Computed tomography of the spine. sagittal reformat. Bone window (WL 400, WW 1800)
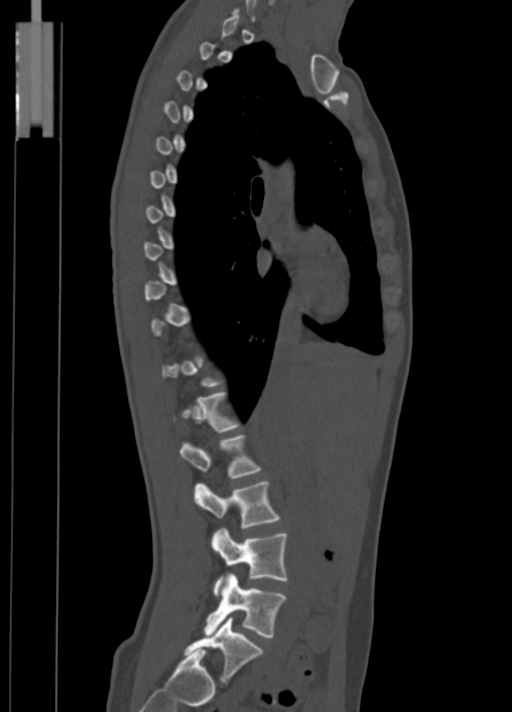

A vertebra is boxed only from the first to the last slice where its cross-section is at least a third of its largest; slices outside that range leave it without a box.
<vertebrae><v name="L1" x1="180" y1="436" x2="259" y2="477"/><v name="L2" x1="194" y1="481" x2="278" y2="527"/><v name="L3" x1="212" y1="528" x2="287" y2="594"/><v name="L4" x1="205" y1="573" x2="285" y2="637"/><v name="L5" x1="186" y1="617" x2="262" y2="684"/></vertebrae>